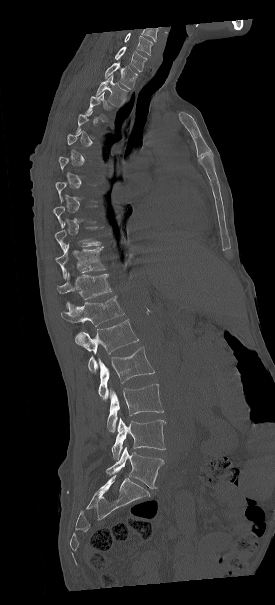 CT. the image is 275 mm wide. sagittal view. 275x605 px. Boxes are (x1, y1, x2, y2) in pixels. A vertebra is boxed only from the first to the last slice where its cross-section is at least a third of its largest; slices outside that range leave it without a box. In this scan, the topmost labeled vertebra is C7 and the lowest is L5. 13 vertebrae labeled — C7 at (115, 47, 147, 71); T1 at (105, 62, 137, 89); T2 at (96, 75, 127, 106); T3 at (85, 92, 113, 121); T9 at (55, 223, 102, 250); T10 at (56, 244, 104, 280); T11 at (58, 273, 112, 308); T12 at (61, 296, 124, 326); L1 at (75, 319, 138, 372); L2 at (98, 347, 155, 401); L3 at (107, 384, 164, 432); L4 at (111, 417, 165, 458); L5 at (106, 447, 163, 488).